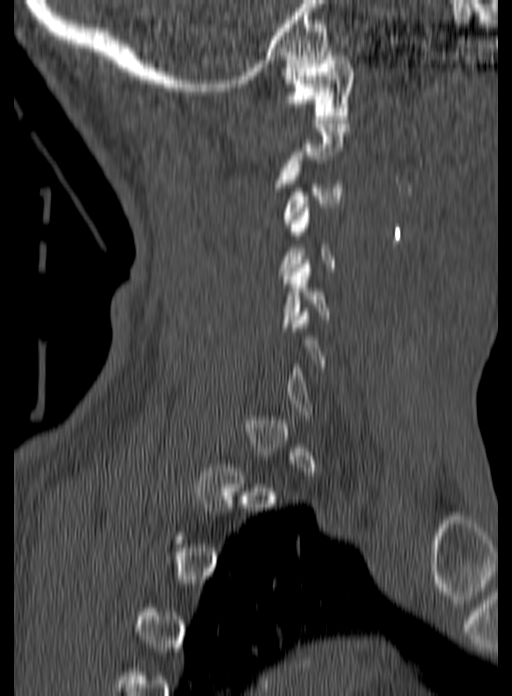 CT spine — sagittal view — bone-window reconstruction — 512x696 px
Each vertebra is boxed only on the slices from the first to the last where its cross-section reaches a third of its largest, so a slice outside that range leaves it unboxed.
<vertebrae><v name="C5" x1="281" y1="260" x2="330" y2="331"/><v name="C1" x1="285" y1="48" x2="352" y2="119"/></vertebrae>